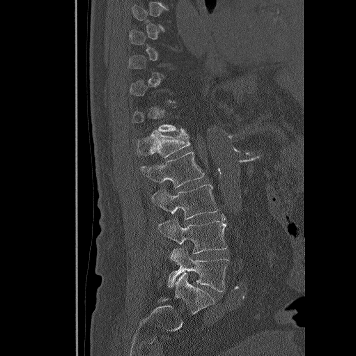 CT, spine; sagittal view; 356 mm image width; Bone window (WL 400, WW 1800); 356x356 px

Bounding boxes as [x1, y1, x2, y2] in pixel coordinates. A vertebra gets a box only on the slices from the first to the last where its cross-section is at least a third of its largest; on a slice outside that range it gets none. Vertebrae labeled: L5 at [168, 248, 228, 291], L4 at [158, 212, 226, 253], L3 at [152, 184, 218, 219], L2 at [140, 152, 204, 187], L1 at [136, 130, 190, 157].